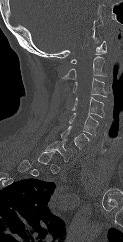

Spine CT. sagittal view. Bone window (WL 400, WW 1800)

Each vertebra maps to its box as [x1, y1, x2, y2], the pixel coordinates of its top-left and bottom-right corners.
A vertebra is boxed only from the first to the last slice where its cross-section is at least a third of its largest; slices outside that range leave it without a box.
{"vertebrae":{"C1":[70,41,106,63],"C2":[61,56,105,79],"C3":[73,78,107,97],"C4":[71,97,104,117],"C5":[68,113,98,135],"C6":[61,126,89,149],"C7":[45,139,73,162]}}